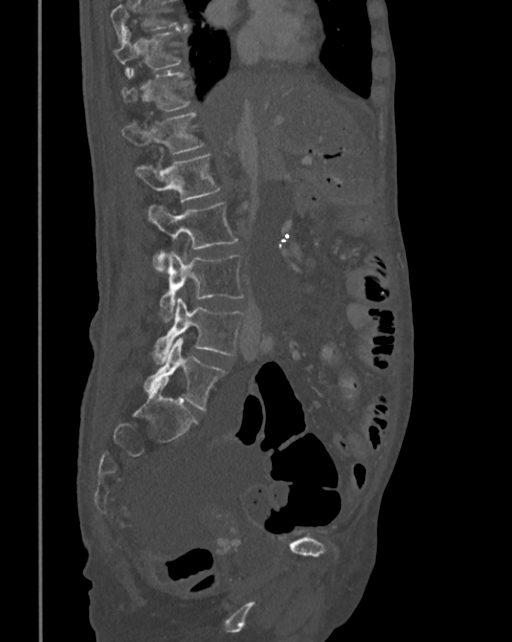
CT — sagittal view — 342 mm image width. Box edges are left/top/right/bottom in pixels.
No box is given to a vertebra that the top edge of the scan cuts off.
Vertebra bounding boxes:
- T10: left=114, top=26, right=189, bottom=78
- T11: left=121, top=69, right=190, bottom=112
- T12: left=121, top=111, right=204, bottom=154
- L1: left=136, top=153, right=220, bottom=201
- L2: left=148, top=202, right=238, bottom=271
- L3: left=160, top=252, right=244, bottom=322
- L4: left=152, top=299, right=244, bottom=361
- L5: left=143, top=337, right=225, bottom=410